Spine computed tomography; sagittal view; 5 vertebrae labeled in this scan
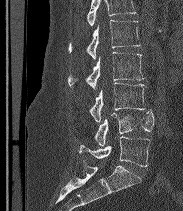
No box is given to a vertebra that the top edge of the scan cuts off.
In these labels the spine has an L6, a sixth lumbar vertebra below L5.
<vertebrae><v name="L6" x1="79" y1="136" x2="150" y2="166"/><v name="L5" x1="94" y1="110" x2="154" y2="146"/><v name="L4" x1="90" y1="83" x2="145" y2="122"/><v name="L3" x1="68" y1="52" x2="144" y2="90"/><v name="L2" x1="68" y1="20" x2="140" y2="59"/></vertebrae>